CT spine · sagittal view · 512x943 px
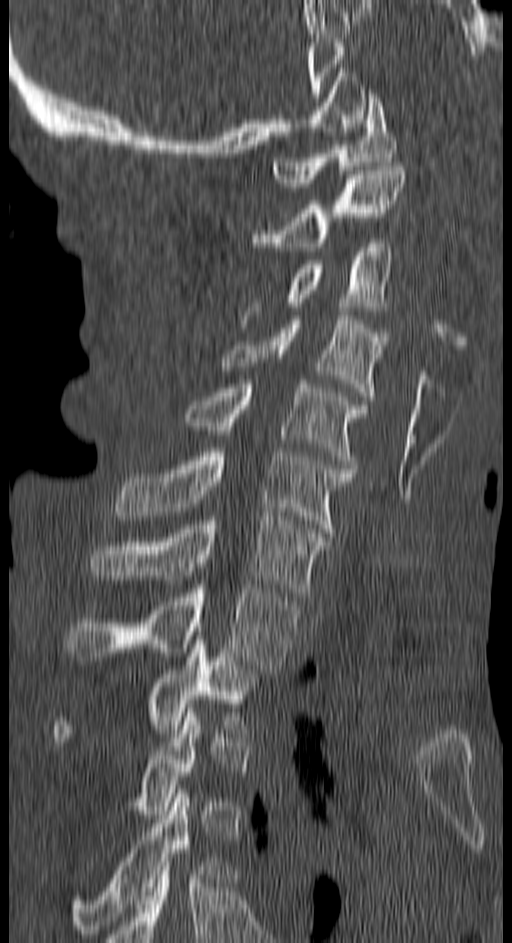 Boxes: x1:y1:x2:y2 in pixels. Each vertebra is boxed only on the slices from the first to the last where its cross-section reaches a third of its largest, so a slice outside that range leaves it unboxed. The labeled vertebrae in this slice are: T4 at 72:789:225:938, T2 at 52:640:264:746, T1 at 66:585:296:673, C7 at 90:516:328:596, C6 at 114:452:355:537, C5 at 186:380:365:468, C4 at 220:316:388:400, C3 at 244:243:393:319, C2 at 254:166:406:251, C1 at 271:94:396:187.